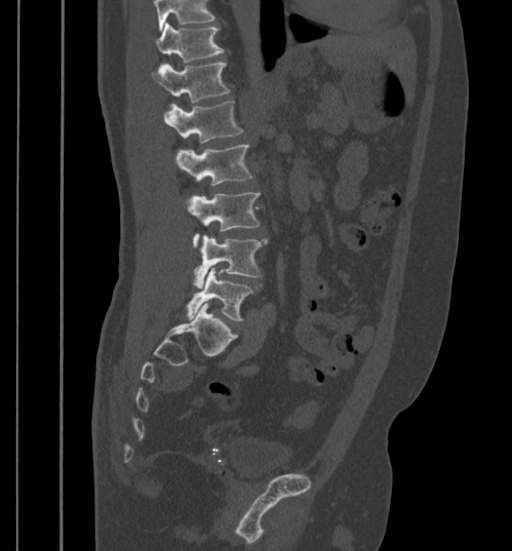

CT, spine. sagittal view
No box is given to a vertebra that the top edge of the scan cuts off.
<vertebrae><v name="T11" x1="154" y1="23" x2="223" y2="62"/><v name="T12" x1="151" y1="63" x2="230" y2="103"/><v name="L1" x1="163" y1="101" x2="243" y2="143"/><v name="L2" x1="174" y1="145" x2="253" y2="185"/><v name="L3" x1="185" y1="192" x2="259" y2="245"/><v name="L4" x1="194" y1="236" x2="267" y2="288"/><v name="L5" x1="187" y1="267" x2="253" y2="320"/></vertebrae>